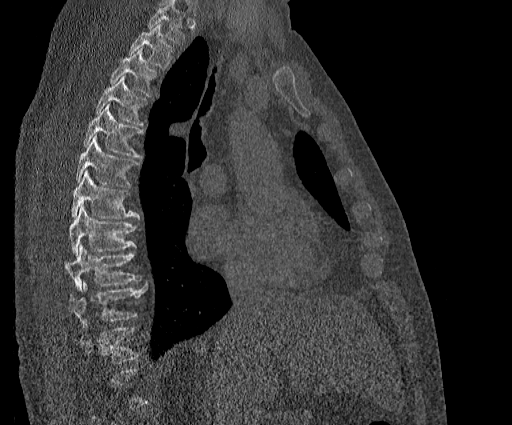
Computed tomography of the spine; sagittal view; 512x425 px

Boxes are given in columns x1, y1, x2, y2, the pixel coordinates of their top-left and bottom-right corners.
Where the top of the scan cuts through a vertebra, that vertebra gets no label or box.
Labels in this scan begin with T2 at the top and end with T11 at the bottom.
| vertebra | x1 | y1 | x2 | y2 |
|---|---|---|---|---|
| T11 | 80 | 327 | 139 | 363 |
| T10 | 69 | 281 | 147 | 324 |
| T9 | 65 | 244 | 140 | 291 |
| T8 | 69 | 207 | 138 | 255 |
| T7 | 71 | 171 | 139 | 219 |
| T6 | 76 | 136 | 139 | 187 |
| T5 | 82 | 104 | 143 | 158 |
| T4 | 96 | 76 | 147 | 126 |
| T3 | 110 | 48 | 156 | 96 |
| T2 | 129 | 24 | 172 | 70 |